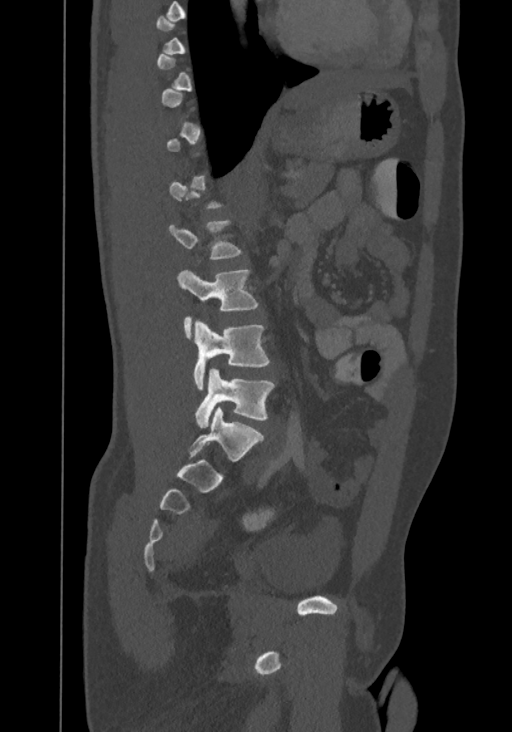

Spine computed tomography — sagittal view — 367 mm across the image

Not every vertebra on this slice has a box: a vertebra is boxed only from the first to the last slice where its cross-section is at least a third of its largest, and this slice is outside that range for at least one of them.
This scan's labels start at T8 at the top and end at L4 at the bottom.
<vertebrae><v name="L2" x1="177" y1="269" x2="258" y2="338"/><v name="L3" x1="194" y1="320" x2="269" y2="389"/><v name="L4" x1="195" y1="368" x2="274" y2="428"/></vertebrae>